Computed tomography of the spine — sagittal view — 768x1012 px — scan covers 9 annotated vertebrae
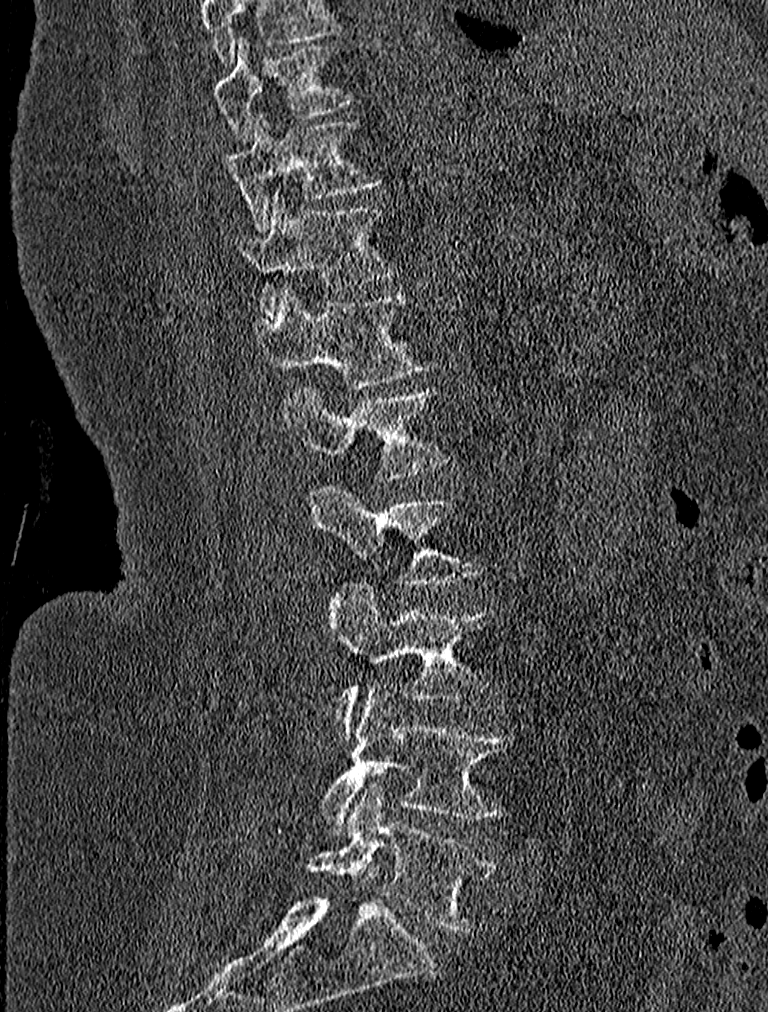

Coordinates as <box>x1,y1,x2,y2</box>. The highest labeled vertebra in this scan is T9; the lowest is L5. 9 vertebrae labeled — T9 at <box>212,38,353,142</box>; T10 at <box>222,116,380,229</box>; T11 at <box>235,190,394,320</box>; T12 at <box>260,288,434,389</box>; L1 at <box>283,385,444,476</box>; L2 at <box>310,484,482,587</box>; L3 at <box>327,580,489,734</box>; L4 at <box>320,685,514,833</box>; L5 at <box>307,783,495,931</box>.